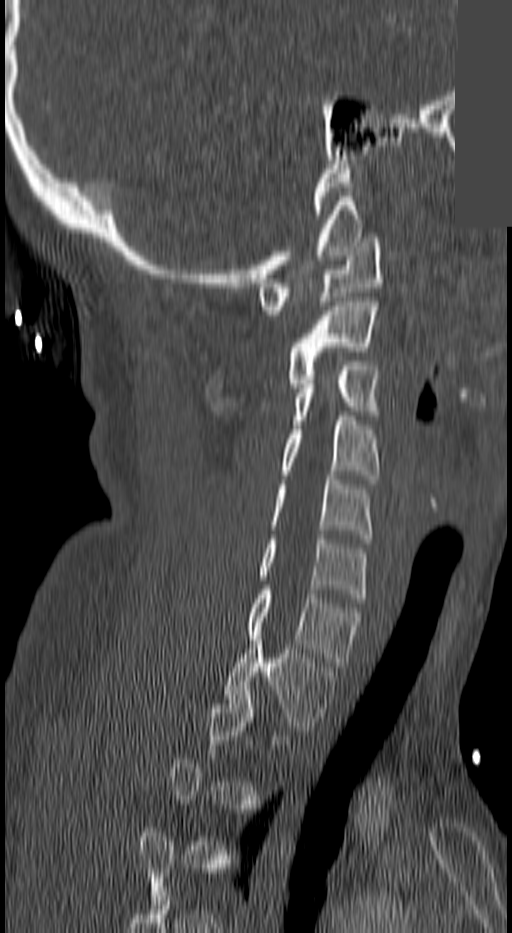 Spine CT; sagittal view; bone window; a region of this slice is masked with a uniform fill
Not every vertebra on this slice has a box: a vertebra is boxed only from the first to the last slice where its cross-section is at least a third of its largest, and this slice is outside that range for at least one of them.
<vertebrae><v name="C1" x1="257" y1="238" x2="381" y2="314"/><v name="C2" x1="287" y1="302" x2="377" y2="388"/><v name="C3" x1="291" y1="361" x2="377" y2="429"/><v name="C4" x1="283" y1="416" x2="377" y2="484"/><v name="C5" x1="272" y1="475" x2="373" y2="538"/><v name="C6" x1="257" y1="535" x2="366" y2="602"/><v name="C7" x1="246" y1="590" x2="359" y2="666"/><v name="T1" x1="224" y1="640" x2="333" y2="730"/></vertebrae>